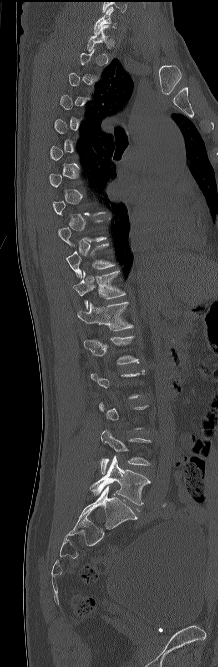
Spine CT · sagittal view
Boxes below are [x1, y1, x2, y2] in pixels.
A vertebra is boxed only from the first to the last slice where its cross-section is at least a third of its largest; slices outside that range leave it without a box.
{"vertebrae":{"L5":[90,456,150,505],"L4":[101,430,151,473],"L1":[84,336,138,364],"T12":[77,302,133,331],"T11":[73,270,125,309],"T10":[66,243,115,277],"T1":[87,25,108,52],"C7":[94,7,116,32]}}